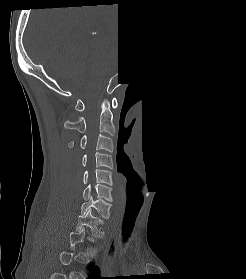

CT, spine · 246 mm image width · sagittal view · Bone window (WL 400, WW 1800) · a region is blanked to uniform black, ending in a straight edge
A vertebra gets a box only on the slices from the first to the last where its cross-section is at least a third of its largest; on a slice outside that range it gets none.
<vertebrae><v name="C1" x1="75" y1="97" x2="117" y2="111"/><v name="C2" x1="64" y1="99" x2="114" y2="135"/><v name="C3" x1="68" y1="134" x2="113" y2="152"/><v name="C4" x1="82" y1="152" x2="112" y2="168"/><v name="C5" x1="83" y1="169" x2="112" y2="185"/><v name="C6" x1="83" y1="183" x2="112" y2="201"/><v name="C7" x1="81" y1="196" x2="112" y2="218"/><v name="T1" x1="76" y1="209" x2="104" y2="237"/></vertebrae>